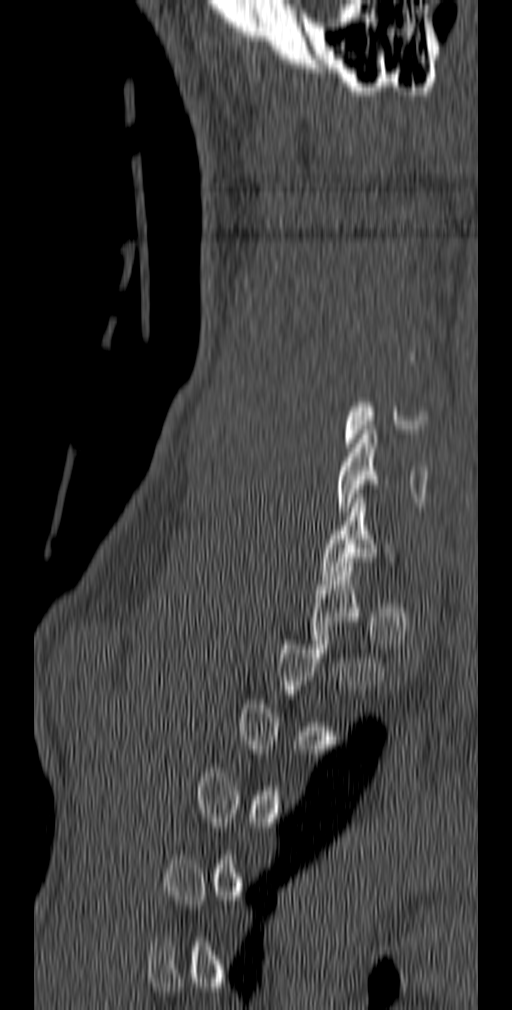
CT — sagittal view — the image spans 140 mm across — Bone window (WL 400, WW 1800)
Each row gives a vertebra's box as x1, y1, x2, y2 in pixels: top-left corner, then bottom-right corner.
A vertebra gets a box only on the slices from the first to the last where its cross-section is at least a third of its largest; on a slice outside that range it gets none.
| vertebra | x1 | y1 | x2 | y2 |
|---|---|---|---|---|
| C6 | 337 | 430 | 428 | 516 |
| C7 | 321 | 498 | 396 | 580 |